CT, spine · sagittal plane, index 116 · bone-window reconstruction · scan covers 9 annotated vertebrae · 228 mm across the image
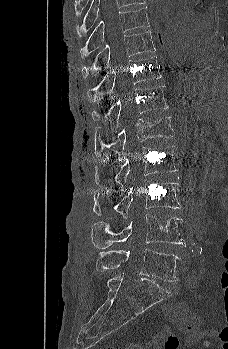
<vertebrae><v name="T9" x1="80" y1="7" x2="149" y2="59"/><v name="T10" x1="81" y1="30" x2="155" y2="78"/><v name="T11" x1="87" y1="56" x2="161" y2="102"/><v name="T12" x1="92" y1="85" x2="168" y2="128"/><v name="L1" x1="95" y1="116" x2="173" y2="160"/><v name="L2" x1="95" y1="145" x2="177" y2="188"/><v name="L3" x1="93" y1="179" x2="181" y2="219"/><v name="L4" x1="91" y1="213" x2="185" y2="248"/><v name="L5" x1="96" y1="248" x2="180" y2="281"/></vertebrae>